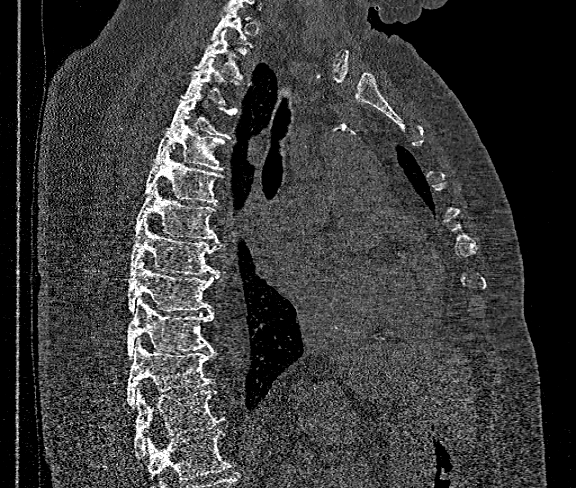 CT, spine. 360 mm wide. sagittal reformat. 576x488 px
Boxes: x1 y1 x2 y2 (pixel coords, space-separated).
No box is given to a vertebra that the bottom edge of the scan cuts off.
Vertebra bounding boxes:
- T12: 134 390 224 457
- T11: 126 341 215 406
- T10: 126 297 213 358
- T9: 128 259 219 313
- T8: 129 218 219 275
- T7: 134 182 216 239
- T6: 143 148 223 203
- T5: 155 115 226 171
- T4: 166 87 237 139
- T3: 182 58 249 105
- T2: 195 29 243 78
- T1: 211 7 253 47